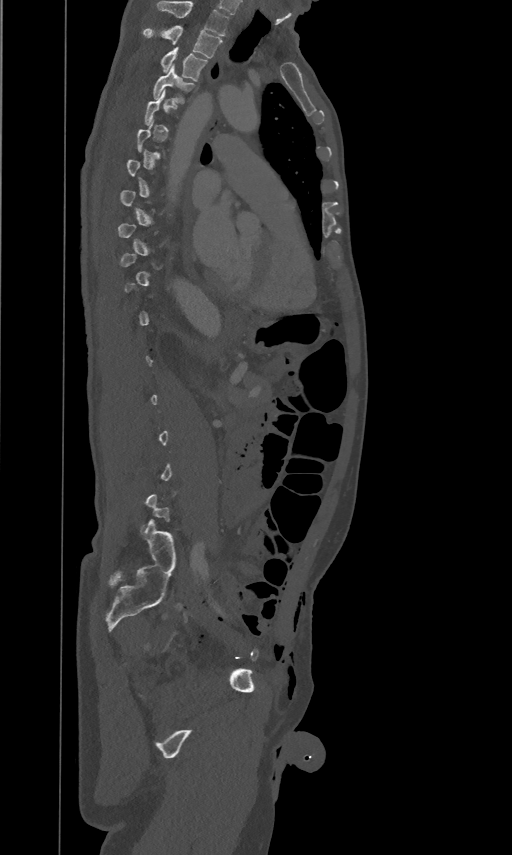
CT — sagittal view — Bone window (WL 400, WW 1800) — 512x855 px

Columns x1, y1, x2, y2 give each box's top-left and bottom-right pixels.
A vertebra gets a box only on the slices from the first to the last where its cross-section is at least a third of its largest; on a slice outside that range it gets none.
In this scan, the topmost labeled vertebra is T2 and the lowest is L5.
| vertebra | x1 | y1 | x2 | y2 |
|---|---|---|---|---|
| T2 | 143 | 25 | 222 | 58 |
| T3 | 160 | 45 | 206 | 81 |
| T4 | 153 | 64 | 193 | 103 |